Spine CT — sagittal reformat — bone-window reconstruction — 211 mm image width — 211x702 px — scan covers 17 annotated vertebrae
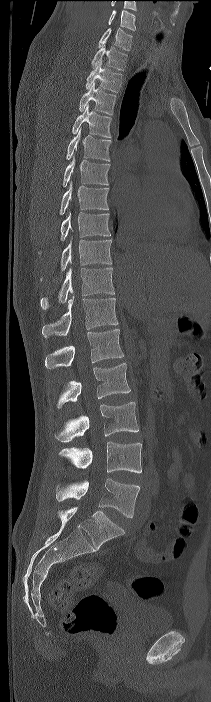
Coordinates as <box>x1,y1,x2,y2</box>. The highest labeled vertebra in this scan is C7; the lowest is L4. Vertebrae labeled: C7 at <box>98,27,132,50</box>, T1 at <box>91,45,127,70</box>, T2 at <box>86,62,122,92</box>, T3 at <box>79,82,116,115</box>, T4 at <box>72,105,112,137</box>, T5 at <box>66,127,111,161</box>, T6 at <box>63,156,110,187</box>, T7 at <box>59,182,108,214</box>, T8 at <box>60,212,110,240</box>, T9 at <box>41,236,112,280</box>, T10 at <box>41,267,114,309</box>, T11 at <box>42,296,118,338</box>, T12 at <box>45,329,123,368</box>, L1 at <box>57,363,130,407</box>, L2 at <box>55,402,138,442</box>, L3 at <box>58,441,141,473</box>, L4 at <box>56,478,139,518</box>.